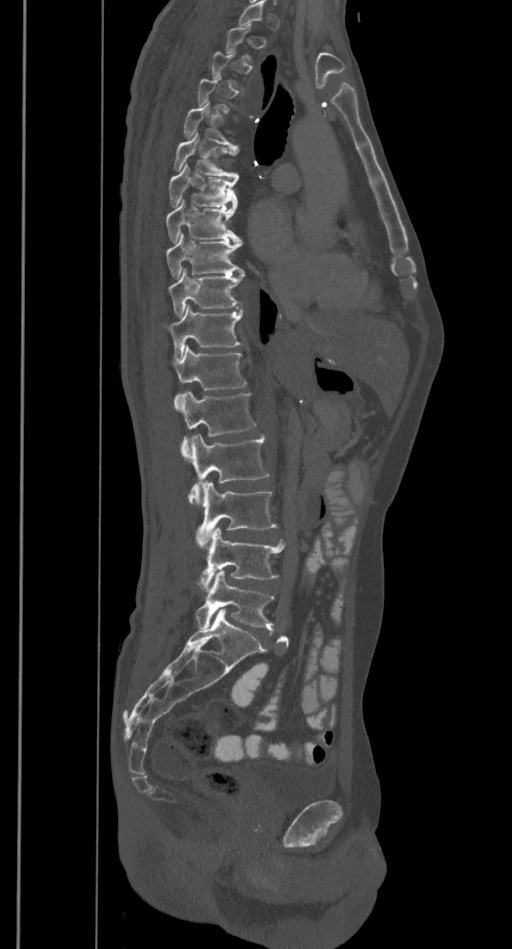

Spine computed tomography. sagittal view
A vertebra gets a box only on the slices from the first to the last where its cross-section is at least a third of its largest; on a slice outside that range it gets none.
<vertebrae><v name="L5" x1="195" y1="570" x2="274" y2="629"/><v name="L4" x1="200" y1="528" x2="285" y2="587"/><v name="L3" x1="197" y1="481" x2="275" y2="541"/><v name="L2" x1="189" y1="434" x2="269" y2="504"/><v name="L1" x1="175" y1="390" x2="255" y2="456"/><v name="T12" x1="171" y1="346" x2="246" y2="389"/><v name="T11" x1="163" y1="305" x2="242" y2="359"/><v name="T10" x1="167" y1="268" x2="244" y2="316"/><v name="T9" x1="165" y1="235" x2="243" y2="278"/><v name="T8" x1="166" y1="199" x2="241" y2="242"/><v name="T7" x1="169" y1="165" x2="238" y2="206"/><v name="T6" x1="174" y1="133" x2="239" y2="177"/><v name="T5" x1="183" y1="102" x2="237" y2="150"/></vertebrae>